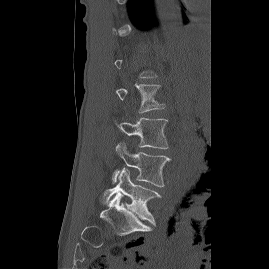
CT; sagittal view; Bone window (WL 400, WW 1800); 269x269 px
Not every vertebra on this slice has a box: a vertebra is boxed only from the first to the last slice where its cross-section is at least a third of its largest, and this slice is outside that range for at least one of them.
<vertebrae><v name="L5" x1="99" y1="168" x2="161" y2="225"/><v name="L4" x1="112" y1="143" x2="171" y2="186"/><v name="L3" x1="112" y1="116" x2="168" y2="148"/><v name="L2" x1="116" y1="84" x2="164" y2="112"/></vertebrae>